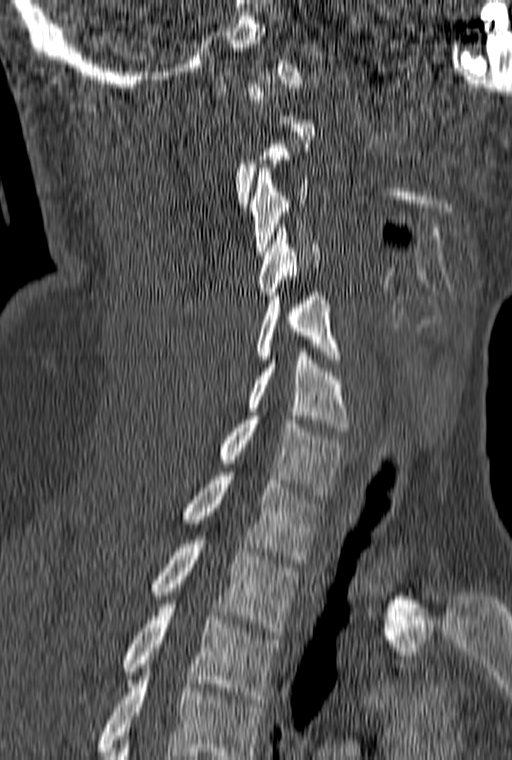 Spine computed tomography; image 160 mm wide; sagittal view; 512x760 px

Not every vertebra on this slice has a box: a vertebra is boxed only from the first to the last slice where its cross-section is at least a third of its largest, and this slice is outside that range for at least one of them.
This scan's labels start at C1 at the top and end at T3 at the bottom.
<vertebrae><v name="T3" x1="123" y1="604" x2="279" y2="703"/><v name="T2" x1="152" y1="540" x2="298" y2="635"/><v name="T1" x1="183" y1="472" x2="323" y2="563"/><v name="C7" x1="219" y1="416" x2="346" y2="495"/><v name="C6" x1="248" y1="348" x2="349" y2="431"/><v name="C5" x1="257" y1="292" x2="342" y2="363"/><v name="C4" x1="258" y1="228" x2="320" y2="295"/><v name="C3" x1="249" y1="168" x2="309" y2="255"/></vertebrae>